CT spine · sagittal reformat · Bone window (WL 400, WW 1800) · image width 384 mm
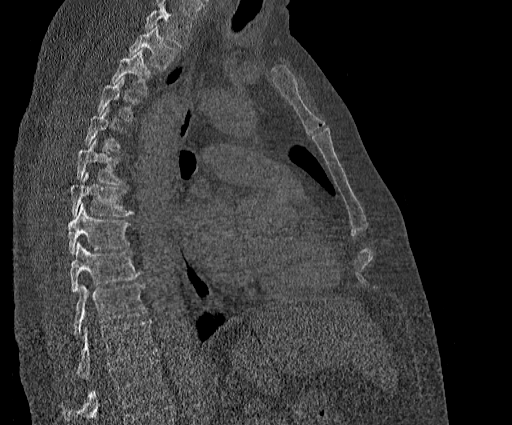
Box edges are left/top/right/bottom in pixels.
Where the top of the scan cuts through a vertebra, that vertebra gets no label or box.
In this scan, the topmost labeled vertebra is T2 and the lowest is T11.
| vertebra | x1 | y1 | x2 | y2 |
|---|---|---|---|---|
| T2 | 129 | 25 | 177 | 70 |
| T3 | 110 | 49 | 152 | 95 |
| T4 | 97 | 76 | 140 | 122 |
| T5 | 84 | 107 | 125 | 152 |
| T6 | 77 | 139 | 125 | 184 |
| T7 | 70 | 172 | 134 | 216 |
| T8 | 68 | 204 | 131 | 254 |
| T9 | 69 | 243 | 140 | 292 |
| T10 | 73 | 284 | 147 | 336 |
| T11 | 76 | 320 | 156 | 378 |